CT spine. Sagittal slice 240/512. bone window. scan covers 17 annotated vertebrae
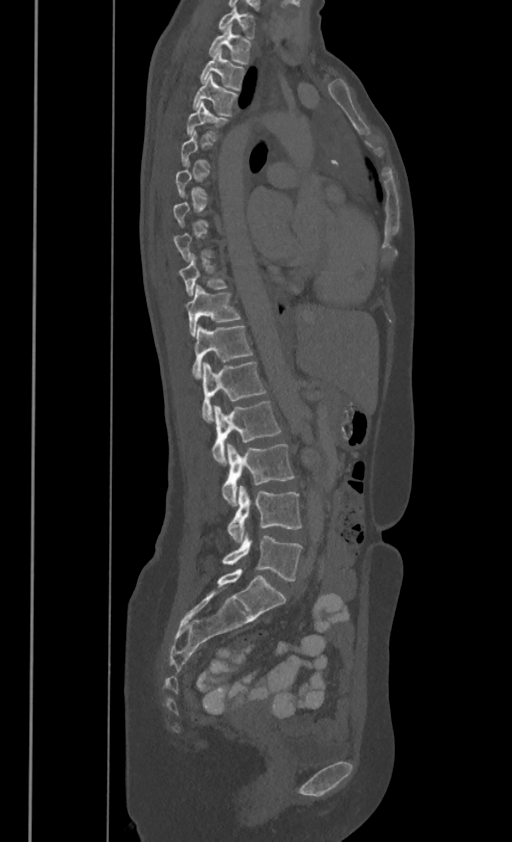 In the table, x1 and y1 are a box's top-left corner and x2 and y2 its bottom-right corner, in pixels.
Not every vertebra on this slice has a box: a vertebra is boxed only from the first to the last slice where its cross-section is at least a third of its largest, and this slice is outside that range for at least one of them.
In these labels the thoracic vertebrae end at T11, so L1 follows T11.
| vertebra | x1 | y1 | x2 | y2 |
|---|---|---|---|---|
| C7 | 219 | 6 | 254 | 37 |
| T1 | 208 | 24 | 251 | 62 |
| T2 | 200 | 49 | 244 | 89 |
| T3 | 192 | 74 | 238 | 114 |
| T4 | 187 | 100 | 227 | 139 |
| T9 | 179 | 253 | 227 | 294 |
| T10 | 186 | 283 | 240 | 334 |
| T11 | 192 | 325 | 252 | 376 |
| L1 | 201 | 361 | 265 | 422 |
| L2 | 212 | 400 | 280 | 465 |
| L3 | 221 | 444 | 295 | 505 |
| L4 | 228 | 486 | 301 | 542 |
| L5 | 223 | 535 | 303 | 580 |